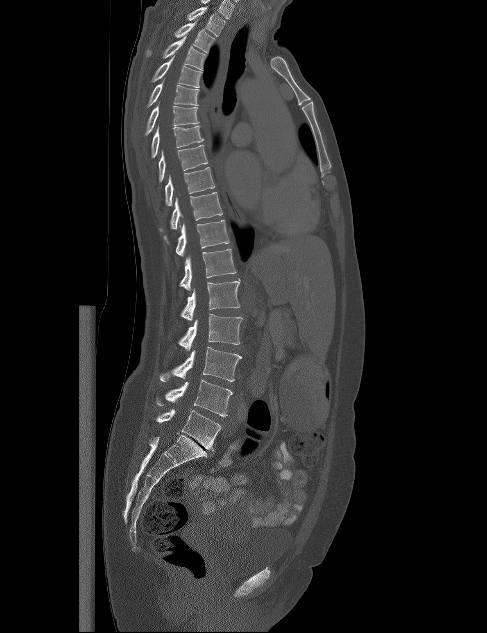 CT spine. sagittal view. bone-window reconstruction. 487x633 px
Boxes: x1:y1:x2:y2 in pixels.
T1: 187:7:226:36
T2: 174:20:215:52
T3: 147:36:206:70
T4: 150:55:202:87
T5: 147:79:199:107
T6: 144:101:199:135
T7: 151:126:203:157
T8: 158:145:207:181
T9: 165:167:215:205
T10: 159:192:222:231
T11: 176:220:229:256
T12: 179:248:236:290
L1: 180:278:240:321
L2: 178:314:242:351
L3: 160:347:242:381
L4: 156:379:232:416
L5: 156:409:221:451